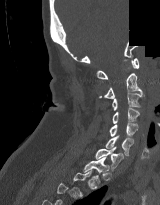 Computed tomography of the spine — sagittal view — the image spans 160 mm across — W/L 1800/400 HU — an area of the scan was removed and filled with constant pixels
A vertebra gets a box only on the slices from the first to the last where its cross-section is at least a third of its largest; on a slice outside that range it gets none.
<vertebrae><v name="C1" x1="96" y1="58" x2="139" y2="79"/><v name="C2" x1="99" y1="73" x2="142" y2="98"/><v name="C3" x1="112" y1="93" x2="145" y2="110"/><v name="C4" x1="112" y1="108" x2="139" y2="123"/><v name="C5" x1="109" y1="123" x2="138" y2="136"/><v name="C6" x1="105" y1="135" x2="133" y2="155"/><v name="C7" x1="95" y1="147" x2="123" y2="170"/><v name="T1" x1="83" y1="156" x2="109" y2="183"/></vertebrae>